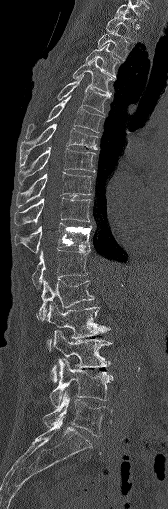

Spine CT — sagittal reformat
<vertebrae><v name="C7" x1="116" y1="1" x2="147" y2="19"/><v name="T1" x1="106" y1="11" x2="136" y2="40"/><v name="T2" x1="97" y1="27" x2="129" y2="58"/><v name="T3" x1="85" y1="43" x2="120" y2="75"/><v name="T4" x1="73" y1="59" x2="113" y2="96"/><v name="T5" x1="58" y1="76" x2="110" y2="114"/><v name="T6" x1="26" y1="96" x2="103" y2="138"/><v name="T7" x1="20" y1="124" x2="97" y2="165"/><v name="T8" x1="18" y1="147" x2="94" y2="184"/><v name="T9" x1="16" y1="172" x2="92" y2="206"/><v name="T10" x1="15" y1="197" x2="90" y2="224"/><v name="T11" x1="14" y1="222" x2="91" y2="253"/><v name="T12" x1="32" y1="248" x2="89" y2="288"/><v name="L1" x1="38" y1="279" x2="94" y2="320"/><v name="L2" x1="45" y1="303" x2="110" y2="348"/><v name="L3" x1="51" y1="330" x2="111" y2="382"/><v name="L4" x1="49" y1="358" x2="113" y2="406"/><v name="L5" x1="43" y1="393" x2="110" y2="436"/></vertebrae>